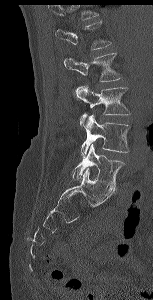 CT, spine; sagittal view; Bone window (WL 400, WW 1800); 153x300 px
Boxes are (x1, y1, x2, y2) in pixels.
A vertebra cut off by the top edge of the scan is not labeled and has no box.
Vertebra bounding boxes:
- L5: (72, 143, 124, 190)
- L4: (80, 114, 130, 158)
- L3: (74, 85, 130, 126)
- L2: (64, 52, 122, 82)
- L1: (55, 21, 111, 50)